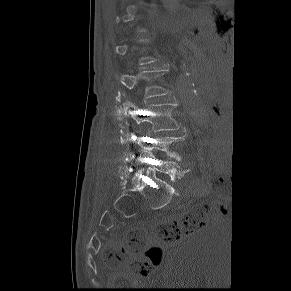
Spine computed tomography · sagittal view · image width 291 mm · 291x291 px
In the table, x1 and y1 are a box's top-left corner and x2 and y2 its bottom-right corner, in pixels.
A vertebra gets a box only on the slices from the first to the last where its cross-section is at least a third of its largest; on a slice outside that range it gets none.
| vertebra | x1 | y1 | x2 | y2 |
|---|---|---|---|---|
| L5 | 132 | 151 | 189 | 185 |
| L4 | 130 | 131 | 187 | 160 |
| L3 | 122 | 101 | 178 | 131 |
| L2 | 116 | 69 | 170 | 102 |